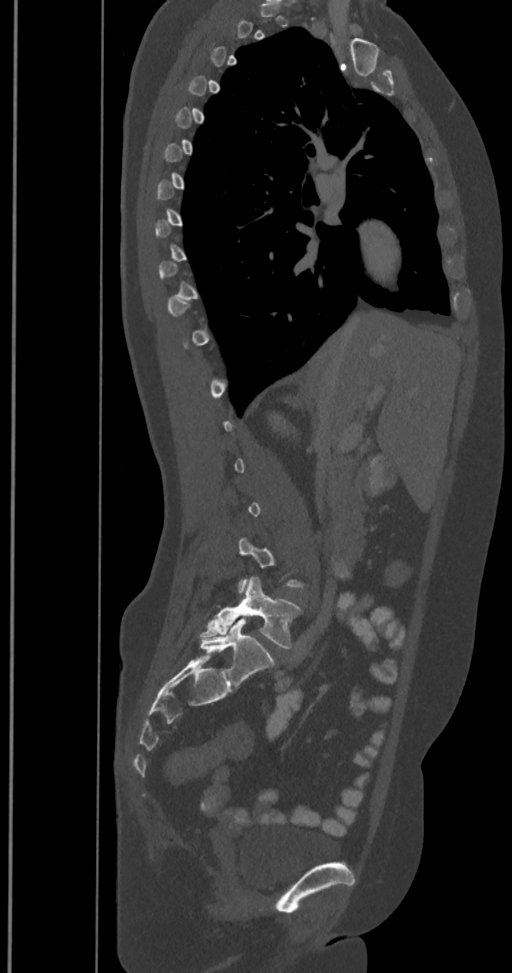
Computed tomography of the spine · sagittal view · image 350 mm wide · W/L 1800/400 HU
A vertebra gets a box only on the slices from the first to the last where its cross-section is at least a third of its largest; on a slice outside that range it gets none.
In these labels the spine has an L6, a sixth lumbar vertebra below L5.
<vertebrae><v name="L5" x1="200" y1="577" x2="302" y2="649"/><v name="L6" x1="200" y1="619" x2="274" y2="685"/></vertebrae>